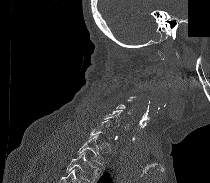

Spine computed tomography. sagittal view. Bone window (WL 400, WW 1800). 210 mm wide. 210x183 px. part of the image has been replaced by a constant value
A vertebra gets a box only on the slices from the first to the last where its cross-section is at least a third of its largest; on a slice outside that range it gets none.
No box is given to a vertebra that the bottom edge of the scan cuts off.
<vertebrae><v name="C6" x1="104" y1="110" x2="125" y2="128"/><v name="T1" x1="77" y1="135" x2="103" y2="164"/></vertebrae>